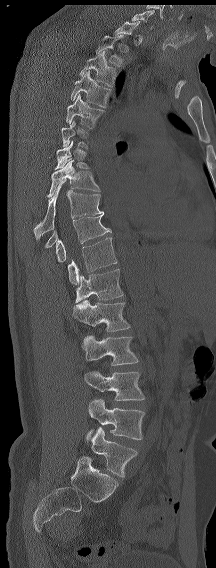

Spine CT; sagittal view; Bone window (WL 400, WW 1800). Box edges are left/top/right/bottom in pixels.
Not every vertebra on this slice has a box: a vertebra is boxed only from the first to the last slice where its cross-section is at least a third of its largest, and this slice is outside that range for at least one of them.
This scan's labels start at C7 at the top and end at L6 at the bottom.
In these labels the spine has an L6, a sixth lumbar vertebra below L5.
L6: left=91, top=427, right=137, bottom=477
L5: left=86, top=399, right=145, bottom=441
L4: left=84, top=371, right=144, bottom=400
L3: left=81, top=335, right=138, bottom=365
L2: left=72, top=300, right=130, bottom=331
L1: left=75, top=269, right=123, bottom=302
T12: left=68, top=237, right=117, bottom=284
T11: left=56, top=213, right=111, bottom=262
T9: left=33, top=180, right=103, bottom=239
T8: left=47, top=160, right=100, bottom=198
T5: left=66, top=94, right=105, bottom=128
T4: left=70, top=71, right=111, bottom=107
T3: left=79, top=51, right=117, bottom=86
T2: left=96, top=35, right=123, bottom=66
C7: left=132, top=10, right=154, bottom=29